CT, spine; sagittal view; 444x709 px
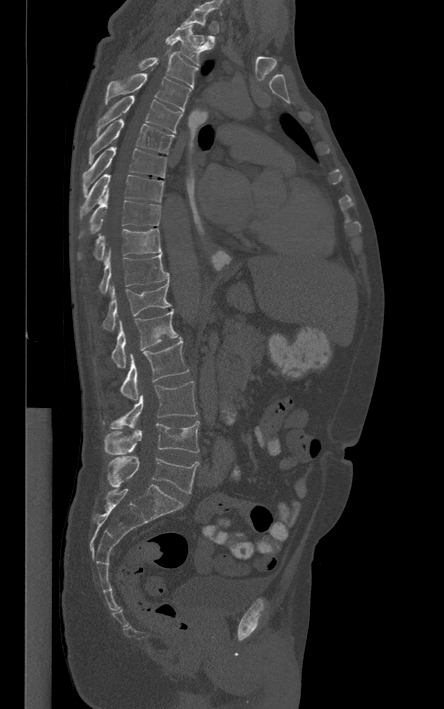

Boxes: x1 y1 x2 y2 (pixel coords, space-separated). A vertebra gets a box only on the slices from the first to the last where its cross-section is at least a third of its largest; on a slice outside that range it gets none. The labeled vertebrae in this slice are: L5 at 108 456 199 493, L4 at 104 421 199 454, L3 at 111 382 197 428, L2 at 120 339 188 400, L1 at 111 310 178 368, T12 at 103 281 170 331, T11 at 99 252 169 293, T10 at 79 228 161 260, T9 at 80 190 160 235, T8 at 80 174 163 215, T7 at 82 146 167 196, T6 at 89 119 174 164, T5 at 96 94 182 134, T4 at 106 67 191 112, T3 at 138 41 198 87, T2 at 164 22 213 65.